CT. sagittal view. bone window. 471 mm image width. 523x792 px
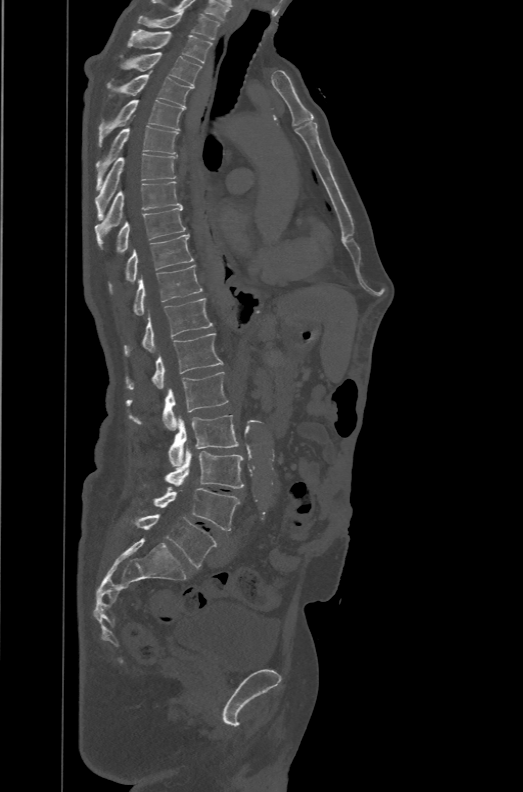

These labels give the spine a sixth lumbar vertebra, L6, below L5.
<vertebrae><v name="T1" x1="137" y1="11" x2="220" y2="39"/><v name="T2" x1="128" y1="30" x2="213" y2="62"/><v name="T3" x1="120" y1="52" x2="201" y2="86"/><v name="T4" x1="107" y1="70" x2="192" y2="108"/><v name="T5" x1="97" y1="100" x2="184" y2="147"/><v name="T6" x1="95" y1="115" x2="178" y2="190"/><v name="T7" x1="94" y1="154" x2="178" y2="220"/><v name="T8" x1="94" y1="181" x2="183" y2="248"/><v name="T9" x1="117" y1="208" x2="186" y2="252"/><v name="T10" x1="110" y1="234" x2="193" y2="289"/><v name="T11" x1="133" y1="265" x2="202" y2="314"/><v name="T12" x1="124" y1="298" x2="213" y2="356"/><v name="L1" x1="126" y1="333" x2="222" y2="389"/><v name="L2" x1="125" y1="372" x2="228" y2="430"/><v name="L3" x1="169" y1="415" x2="239" y2="466"/><v name="L4" x1="166" y1="445" x2="243" y2="488"/><v name="L5" x1="153" y1="487" x2="239" y2="530"/><v name="L6" x1="134" y1="514" x2="217" y2="568"/></vertebrae>